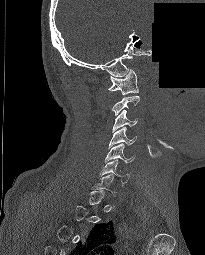

Computed tomography of the spine — sagittal view — bone window — part of the scan has been removed (filled with constant black)
In the table, x1 and y1 are a box's top-left corner and x2 and y2 its bottom-right corner, in pixels.
A vertebra is boxed only from the first to the last slice where its cross-section is at least a third of its largest; slices outside that range leave it without a box.
| vertebra | x1 | y1 | x2 | y2 |
|---|---|---|---|---|
| C1 | 108 | 69 | 138 | 95 |
| C3 | 112 | 109 | 137 | 132 |
| C4 | 108 | 126 | 136 | 149 |
| C5 | 105 | 143 | 134 | 163 |
| C6 | 99 | 159 | 129 | 185 |